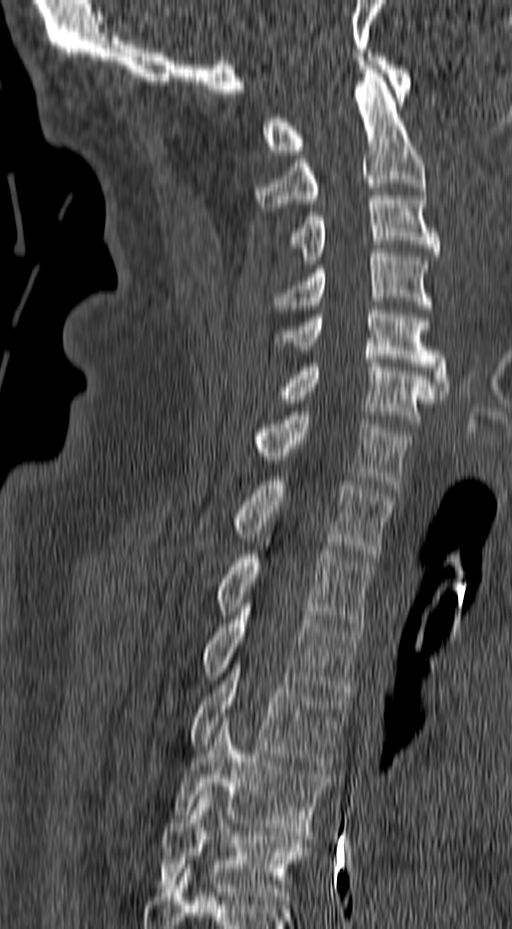
CT, spine; sagittal view; 512x929 px
Each box given as x1,y1,x2,y2.
| vertebra | x1 | y1 | x2 | y2 |
|---|---|---|---|---|
| C1 | 263 | 53 | 412 | 154 |
| C2 | 253 | 65 | 425 | 207 |
| C3 | 288 | 196 | 440 | 264 |
| C4 | 273 | 249 | 432 | 313 |
| C5 | 273 | 310 | 449 | 394 |
| C6 | 275 | 359 | 443 | 427 |
| C7 | 252 | 412 | 411 | 488 |
| T1 | 229 | 481 | 395 | 557 |
| T2 | 213 | 542 | 372 | 627 |
| T3 | 200 | 607 | 362 | 696 |
| T4 | 190 | 664 | 349 | 769 |
| T5 | 173 | 717 | 330 | 835 |
| T6 | 158 | 791 | 310 | 904 |